Spine CT; sagittal reformat; 512x512 px; scan covers 16 annotated vertebrae
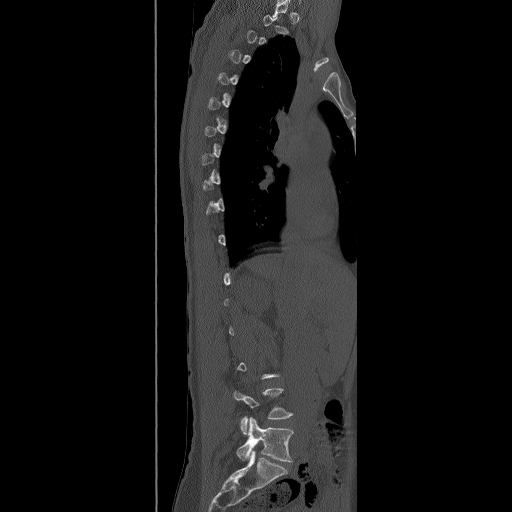
Boxes: x1 y1 x2 y2 (pixel coords, space-separated).
Not every vertebra on this slice has a box: a vertebra is boxed only from the first to the last slice where its cross-section is at least a third of its largest, and this slice is outside that range for at least one of them.
L4: 233 388 293 435
L5: 236 417 293 461